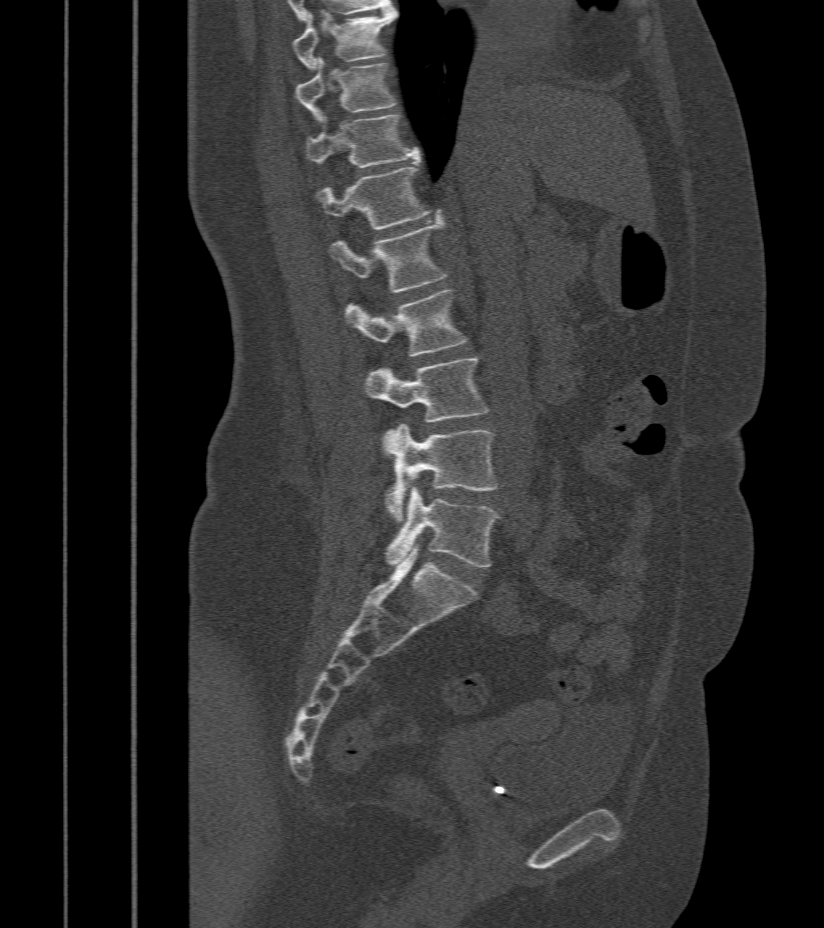
CT, spine — sagittal view. Bounding boxes as [x1, y1, x2, y2] in pixel coordinates.
T9: [291, 9, 397, 70]
T10: [295, 59, 395, 122]
T11: [306, 115, 419, 168]
T12: [315, 167, 427, 230]
L1: [330, 219, 446, 292]
L2: [346, 291, 467, 356]
L3: [364, 359, 488, 452]
L4: [383, 425, 496, 522]
L5: [386, 487, 500, 568]